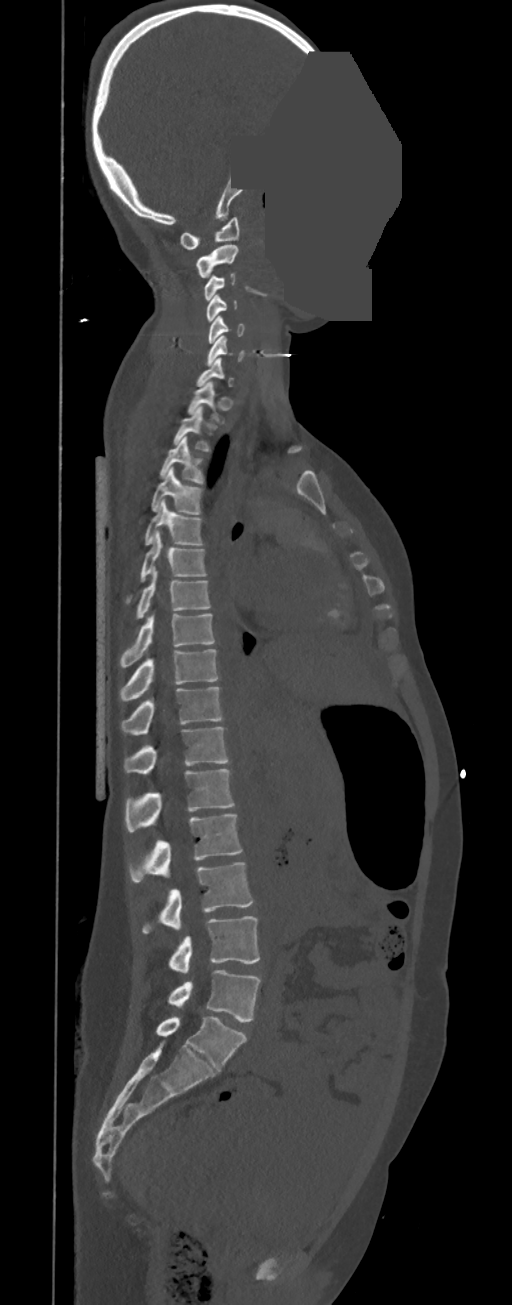 Spine computed tomography · sagittal view · part of the image is a flat gray fill, not anatomy. Each row gives a vertebra's box as x1, y1, x2, y2 in pixels: top-left corner, then bottom-right corner.
A vertebra is boxed only from the first to the last slice where its cross-section is at least a third of its largest; slices outside that range leave it without a box.
In these labels the thoracic vertebrae end at T11, so L1 follows T11.
| vertebra | x1 | y1 | x2 | y2 |
|---|---|---|---|---|
| C1 | 180 | 217 | 239 | 249 |
| C2 | 196 | 244 | 238 | 278 |
| C3 | 204 | 273 | 236 | 300 |
| C4 | 206 | 295 | 237 | 322 |
| C5 | 208 | 316 | 245 | 343 |
| C6 | 206 | 334 | 245 | 366 |
| T1 | 188 | 382 | 224 | 423 |
| T2 | 174 | 406 | 209 | 451 |
| T3 | 159 | 436 | 204 | 483 |
| T4 | 152 | 466 | 202 | 514 |
| T5 | 145 | 499 | 202 | 545 |
| T6 | 125 | 531 | 206 | 603 |
| T7 | 136 | 569 | 211 | 618 |
| T8 | 120 | 614 | 214 | 668 |
| T9 | 120 | 649 | 219 | 701 |
| T10 | 121 | 687 | 223 | 735 |
| T11 | 124 | 727 | 228 | 774 |
| L1 | 126 | 769 | 234 | 832 |
| L2 | 128 | 814 | 242 | 881 |
| L3 | 142 | 862 | 253 | 934 |
| L4 | 168 | 916 | 259 | 973 |
| L5 | 168 | 970 | 261 | 1022 |